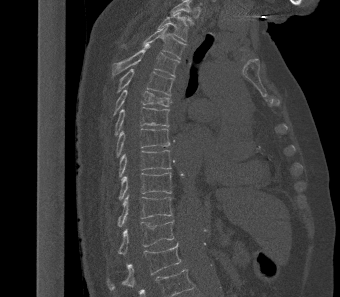
Spine computed tomography. sagittal reformat. 340x297 px
Each row gives a vertebra's box as x1, y1, x2, y2 in pixels: top-left corner, then bottom-right corner.
The highest labeled vertebra in this scan is T2; the lowest is L1.
| vertebra | x1 | y1 | x2 | y2 |
|---|---|---|---|---|
| L1 | 107 | 242 | 181 | 290 |
| T12 | 118 | 220 | 174 | 255 |
| T11 | 117 | 194 | 173 | 226 |
| T10 | 118 | 172 | 172 | 200 |
| T9 | 118 | 150 | 173 | 177 |
| T8 | 116 | 128 | 170 | 156 |
| T7 | 115 | 107 | 169 | 136 |
| T6 | 113 | 89 | 171 | 115 |
| T5 | 116 | 69 | 174 | 95 |
| T4 | 112 | 44 | 179 | 76 |
| T3 | 122 | 25 | 184 | 59 |
| T2 | 158 | 12 | 188 | 41 |